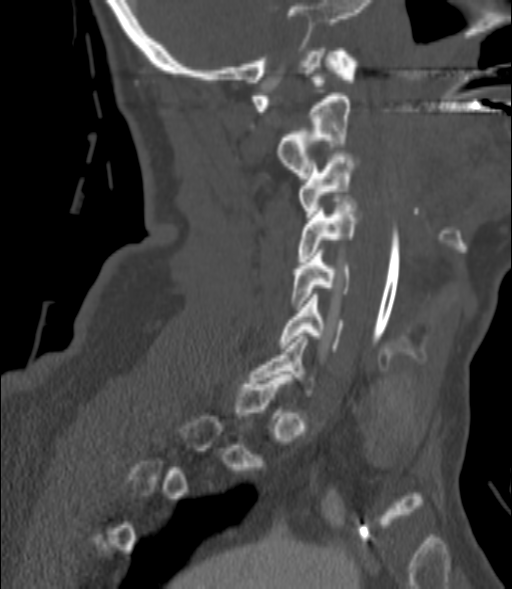

CT, spine; sagittal view

Boxes are (x1, y1, x2, y2) in pixels.
A vertebra gets a box only on the slices from the first to the last where its cross-section is at least a third of its largest; on a slice outside that range it gets none.
Vertebra bounding boxes:
- C2: (277, 96, 351, 178)
- C3: (298, 150, 356, 220)
- C4: (298, 202, 359, 261)
- C5: (293, 250, 351, 306)
- C6: (279, 294, 343, 351)